Spine CT · 397 mm across the image · sagittal reformat
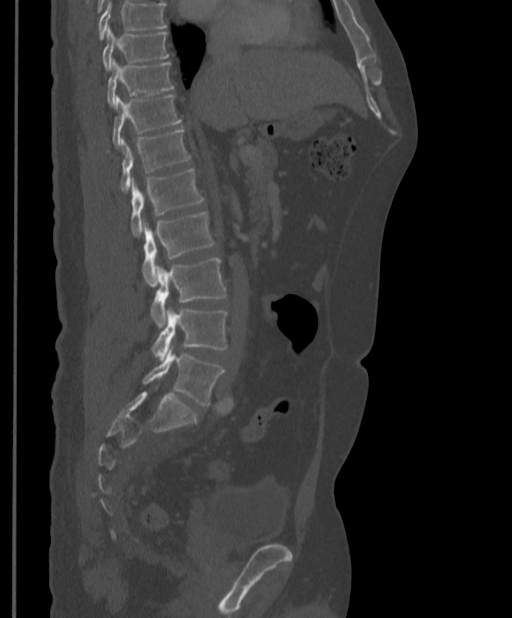 Coordinates as <box>x1,y1,x2,y2</box>.
No box is given to a vertebra that the top edge of the scan cuts off.
T9: <box>102,30,169,70</box>
T10: <box>107,61,174,106</box>
T11: <box>112,94,182,146</box>
T12: <box>120,129,191,191</box>
L1: <box>130,168,204,236</box>
L2: <box>142,212,216,285</box>
L3: <box>151,258,227,327</box>
L4: <box>151,308,227,360</box>
L5: <box>143,348,225,405</box>